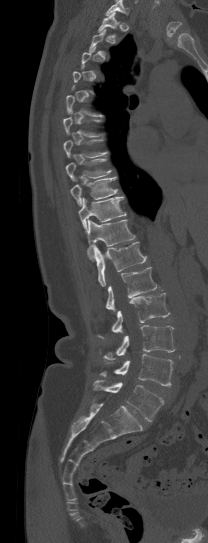
CT, spine · sagittal view · bone-window reconstruction · 208x543 px. Boxes: x1 y1 x2 y2 (pixel coords, space-separated). A vertebra is boxed only from the first to the last slice where its cross-section is at least a third of its largest; slices outside that range leave it without a box. Where the top of the scan cuts through a vertebra, that vertebra gets no label or box. 12 vertebrae labeled — T1 at 98 11 119 37; T7 at 63 139 107 158; T8 at 65 159 111 180; T9 at 70 177 117 206; T10 at 78 196 125 230; T11 at 87 220 135 260; T12 at 93 241 146 286; L1 at 106 267 157 310; L2 at 111 293 169 332; L3 at 103 325 174 359; L4 at 99 354 173 387; L5 at 93 380 163 421.